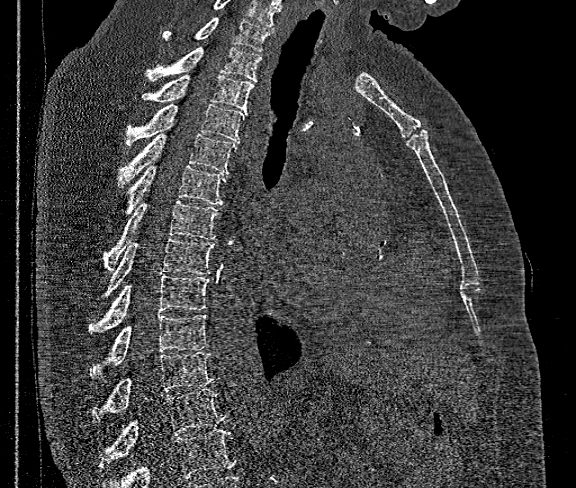 Computed tomography of the spine; sagittal view; bone-window reconstruction; 576x488 px. Box edges are left/top/right/bottom in pixels.
Vertebrae that run past the bottom of the scan are left unlabeled.
Labels in this scan begin with T1 at the top and end with T12 at the bottom.
Vertebra bounding boxes:
- T1: left=163, top=18, right=272, bottom=51
- T2: left=145, top=47, right=261, bottom=81
- T3: left=142, top=76, right=254, bottom=111
- T4: left=125, top=104, right=246, bottom=145
- T5: left=118, top=133, right=235, bottom=187
- T6: left=125, top=165, right=226, bottom=214
- T7: left=103, top=200, right=221, bottom=270
- T8: left=102, top=239, right=213, bottom=297
- T9: left=89, top=274, right=208, bottom=332
- T10: left=89, top=314, right=207, bottom=377
- T11: left=92, top=352, right=213, bottom=420
- T12: left=100, top=389, right=227, bottom=467